Spine computed tomography. sagittal reformat. 512x689 px. 6 vertebrae labeled in this scan
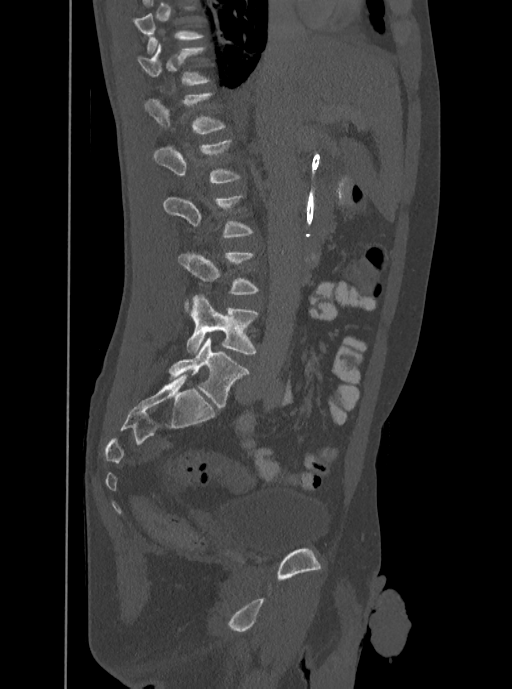
A vertebra gets a box only on the slices from the first to the last where its cross-section is at least a third of its largest; on a slice outside that range it gets none.
This scan's labels start at T12 at the top and end at L5 at the bottom.
<vertebrae><v name="T12" x1="137" y1="43" x2="208" y2="85"/><v name="L1" x1="143" y1="93" x2="224" y2="133"/><v name="L2" x1="152" y1="140" x2="239" y2="183"/><v name="L5" x1="186" y1="295" x2="258" y2="354"/></vertebrae>